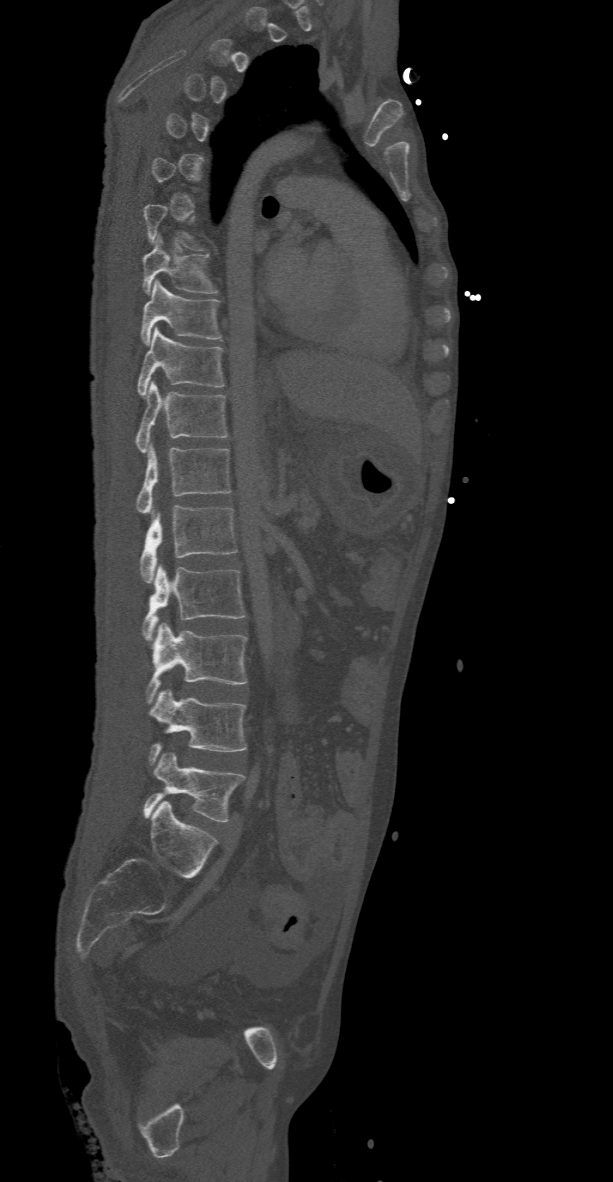 CT · sagittal view · 613x1182 px

A vertebra gets a box only on the slices from the first to the last where its cross-section is at least a third of its largest; on a slice outside that range it gets none.
<vertebrae><v name="L5" x1="143" y1="752" x2="243" y2="821"/><v name="L4" x1="149" y1="689" x2="246" y2="763"/><v name="L3" x1="146" y1="622" x2="247" y2="702"/><v name="L2" x1="143" y1="564" x2="246" y2="638"/><v name="L1" x1="140" y1="506" x2="237" y2="583"/><v name="T12" x1="137" y1="442" x2="230" y2="513"/><v name="T11" x1="134" y1="381" x2="227" y2="453"/><v name="T10" x1="137" y1="327" x2="224" y2="396"/><v name="T9" x1="140" y1="281" x2="221" y2="345"/><v name="T8" x1="141" y1="236" x2="217" y2="293"/></vertebrae>